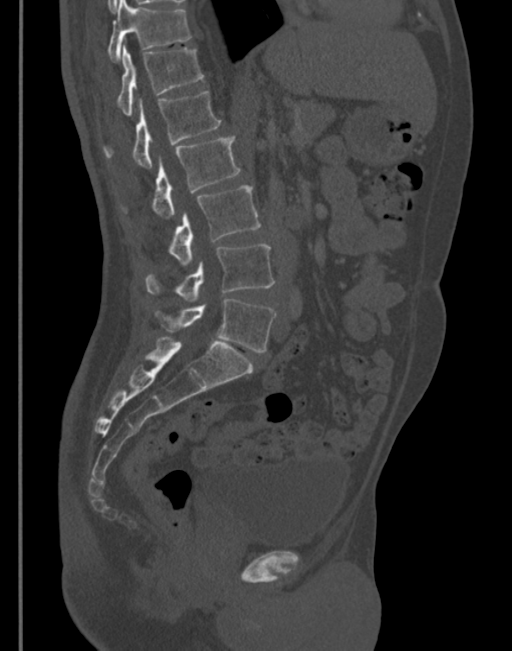 CT, spine. sagittal view. 345 mm across the image. Box edges are left/top/right/bottom in pixels.
Vertebra bounding boxes:
- L5: left=157, top=299, right=276, bottom=352
- L4: left=145, top=245, right=275, bottom=303
- L3: left=170, top=185, right=260, bottom=267
- L2: left=153, top=135, right=239, bottom=220
- L1: left=104, top=91, right=221, bottom=169
- T12: left=117, top=44, right=204, bottom=117
- T11: left=108, top=0, right=190, bottom=61